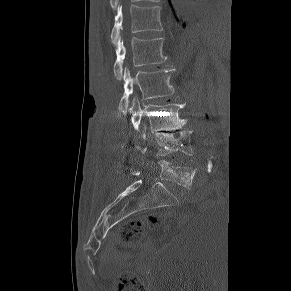
CT, spine; sagittal view; 291x291 px
Boxes: x1:y1:x2:y2 in pixels.
T12: 111:4:162:45
L1: 114:37:166:80
L2: 119:67:175:113
L3: 130:97:187:132
L4: 135:125:193:161
L5: 130:160:196:188